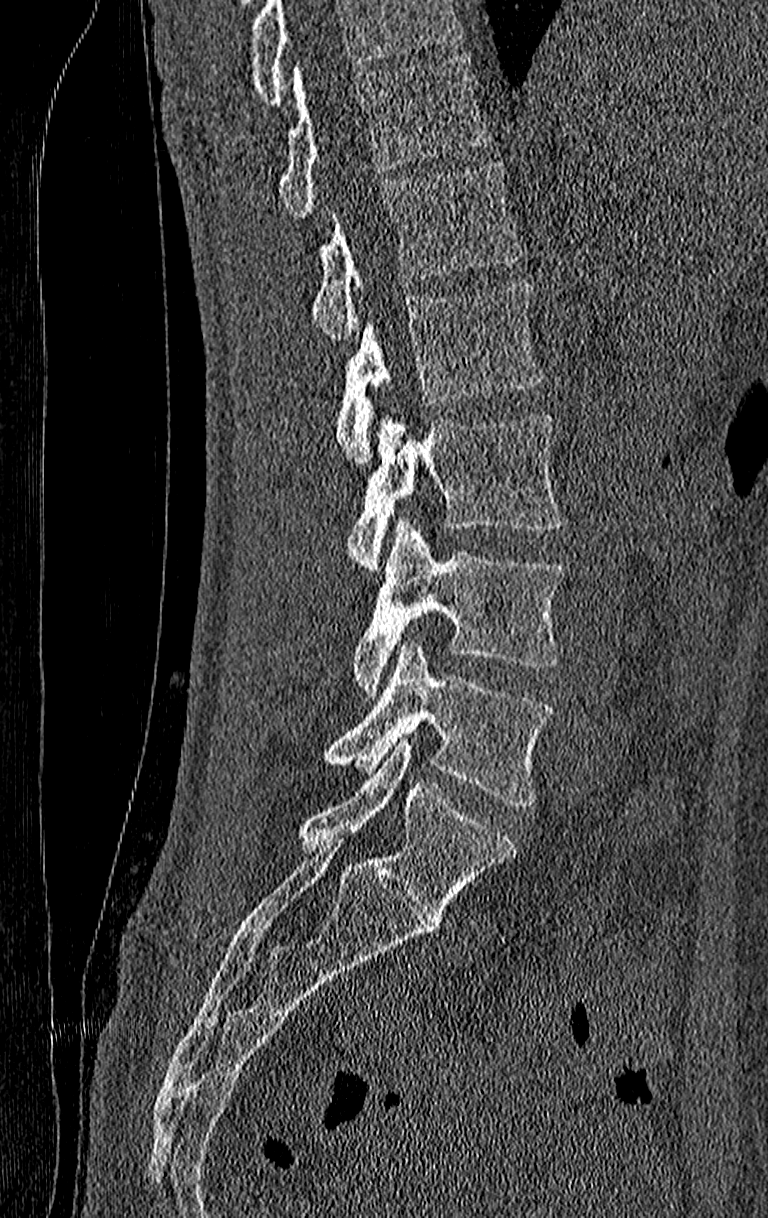

Spine computed tomography · sagittal reformat

Boxes: x1 y1 x2 y2 (pixel coords, space-separated). Where the top of the scan cuts through a vertebra, that vertebra gets no label or box. In this scan, the topmost labeled vertebra is T11 and the lowest is L4. Vertebrae labeled: T11 at 277 56 491 220, T12 at 310 161 521 340, L1 at 335 283 543 465, L2 at 346 415 565 570, L3 at 353 520 565 695, L4 at 324 640 554 804.